CT, spine · sagittal view · Bone window (WL 400, WW 1800)
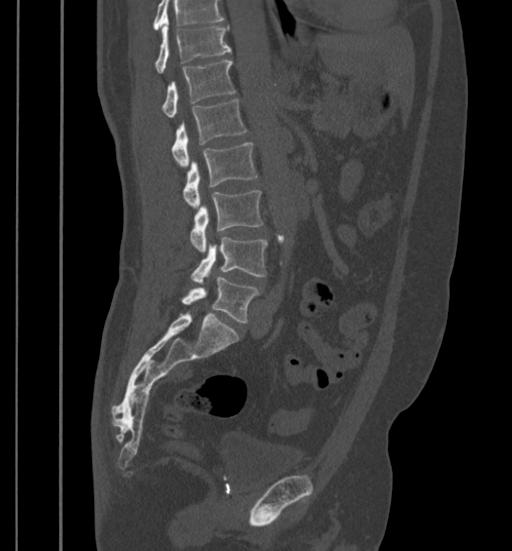

Each box given as x1,y1,x2,y2. No box is given to a vertebra that the top edge of the scan cuts off. Vertebrae labeled: T11 at x1=155, y1=18, x2=231, y2=73, T12 at x1=162, y1=60, x2=235, y2=118, L1 at x1=172, y1=99, x2=247, y2=166, L2 at x1=183, y1=142, x2=257, y2=207, L3 at x1=190, y1=190, x2=263, y2=253, L4 at x1=191, y1=237, x2=267, y2=283, L5 at x1=182, y1=277, x2=259, y2=322.